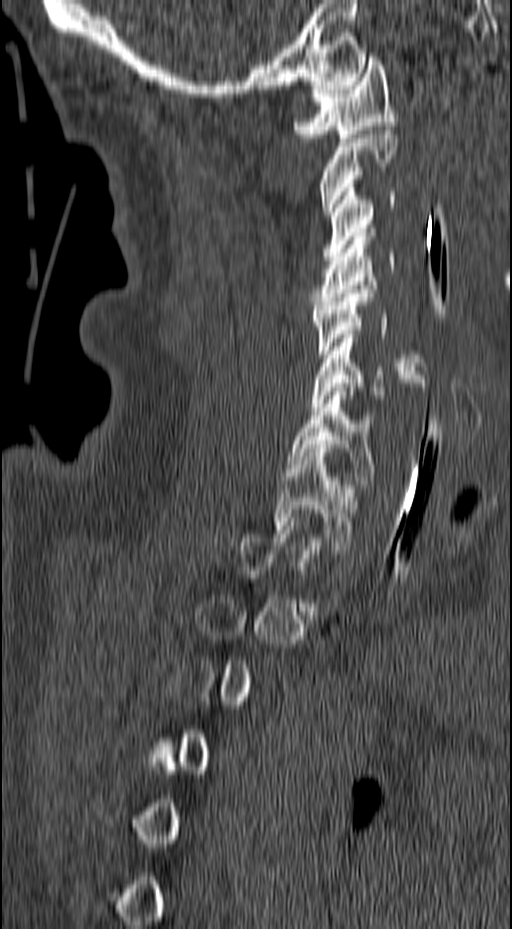 Computed tomography of the spine — 157 mm wide — sagittal reformat — bone-window reconstruction
Boxes: x1 y1 x2 y2 (pixel coords, space-separated).
Each vertebra is boxed only on the slices from the first to the last where its cross-section reaches a third of its largest, so a slice outside that range leaves it unboxed.
Vertebra bounding boxes:
- C1: 293 57 398 142
- C2: 321 126 397 215
- C3: 323 188 395 260
- C4: 310 232 395 305
- C5: 310 289 427 374
- C6: 311 334 425 407
- C7: 288 387 378 484
- T1: 274 448 358 549